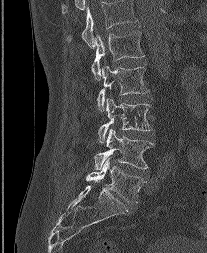
CT, spine. sagittal view

Bounding boxes as [x1, y1, x2, y2] in pixel coordinates. The highest labeled vertebra in this scan is L1; the lowest is L5. The labeled vertebrae in this slice are: L5 at [86, 157, 145, 202], L4 at [94, 128, 153, 169], L3 at [98, 97, 152, 142], L2 at [97, 65, 148, 111], L1 at [91, 30, 144, 79].